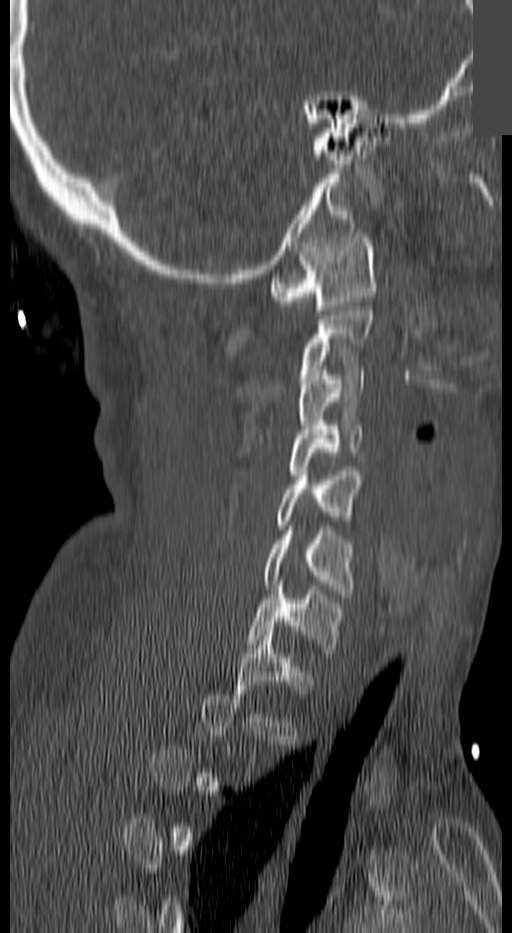 Spine CT; sagittal view; Bone window (WL 400, WW 1800); 512x933 px; the image spans 140 mm across; a uniform gray block covers part of the image
Box values are [left, top, right, bottom] in pixels.
Each vertebra is boxed only on the slices from the first to the last where its cross-section reaches a third of its largest, so a slice outside that range leaves it unboxed.
{"vertebrae":{"C7":[246,581,344,653],"C6":[265,526,355,593],"C5":[276,471,362,529],"C4":[290,421,362,479],"C3":[298,370,366,433],"C1":[268,233,377,310]}}